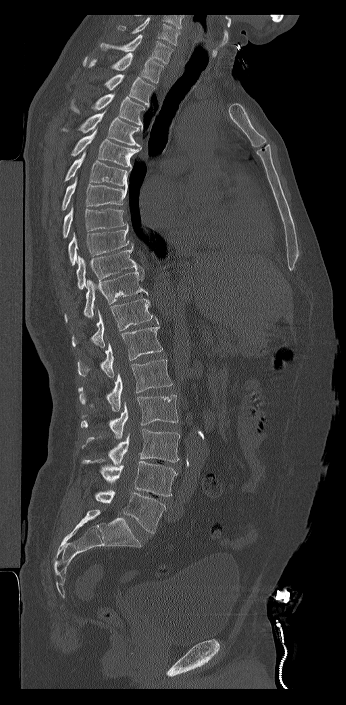
CT, spine — the image spans 346 mm across — sagittal view
Labels in this scan begin with C7 at the top and end with L6 at the bottom.
In these labels the spine has an L6, a sixth lumbar vertebra below L5.
<vertebrae><v name="C7" x1="100" y1="34" x2="172" y2="63"/><v name="T1" x1="83" y1="53" x2="164" y2="83"/><v name="T2" x1="104" y1="74" x2="156" y2="107"/><v name="T3" x1="70" y1="93" x2="145" y2="131"/><v name="T4" x1="62" y1="110" x2="141" y2="149"/><v name="T5" x1="70" y1="129" x2="141" y2="172"/><v name="T6" x1="64" y1="151" x2="127" y2="187"/><v name="T7" x1="61" y1="176" x2="127" y2="210"/><v name="T8" x1="62" y1="204" x2="127" y2="238"/><v name="T9" x1="68" y1="224" x2="129" y2="265"/><v name="T10" x1="76" y1="243" x2="144" y2="289"/><v name="T11" x1="64" y1="271" x2="148" y2="322"/><v name="T12" x1="72" y1="298" x2="158" y2="348"/><v name="L1" x1="77" y1="323" x2="162" y2="377"/><v name="L2" x1="78" y1="359" x2="172" y2="411"/><v name="L3" x1="81" y1="394" x2="178" y2="439"/><v name="L4" x1="82" y1="429" x2="180" y2="465"/><v name="L5" x1="82" y1="460" x2="177" y2="496"/><v name="L6" x1="95" y1="490" x2="165" y2="533"/></vertebrae>